CT, spine — sagittal view — bone window
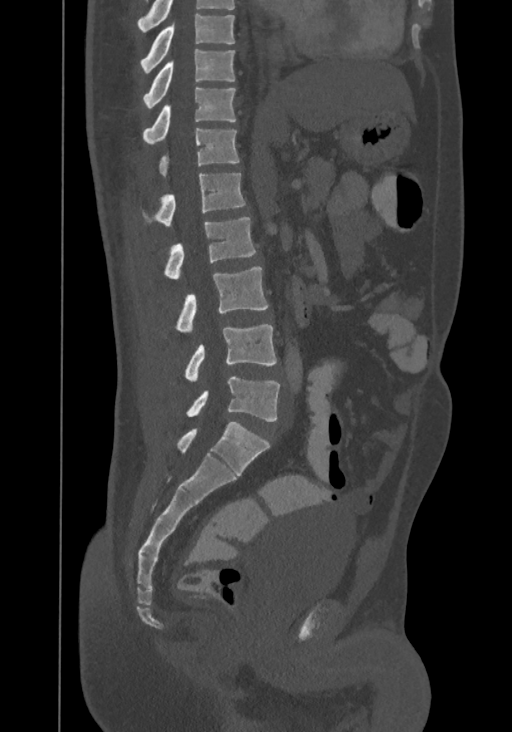

Boxes: x1 y1 x2 y2 (pixel coords, space-separated).
The highest labeled vertebra in this scan is T8; the lowest is L4.
Vertebra bounding boxes:
- T8: 141 14 235 73
- T9: 143 49 235 109
- T10: 142 88 236 143
- T11: 159 128 239 177
- T12: 143 173 246 226
- L1: 163 217 255 279
- L2: 176 266 268 332
- L3: 184 325 276 381
- L4: 187 377 279 421